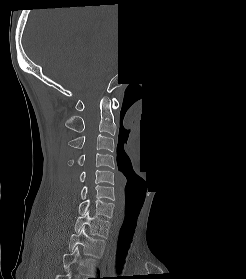
Spine computed tomography. sagittal view. Bone window (WL 400, WW 1800). the image spans 246 mm across. 246x279 px. a region of this slice is masked with a uniform fill
In this scan, the topmost labeled vertebra is C1 and the lowest is T2.
<vertebrae><v name="C1" x1="75" y1="97" x2="118" y2="110"/><v name="C2" x1="65" y1="97" x2="116" y2="135"/><v name="C3" x1="68" y1="134" x2="114" y2="152"/><v name="C4" x1="67" y1="153" x2="114" y2="168"/><v name="C5" x1="79" y1="169" x2="113" y2="184"/><v name="C6" x1="80" y1="185" x2="114" y2="200"/><v name="C7" x1="78" y1="199" x2="114" y2="217"/><v name="T1" x1="74" y1="211" x2="110" y2="238"/><v name="T2" x1="68" y1="226" x2="105" y2="258"/></vertebrae>